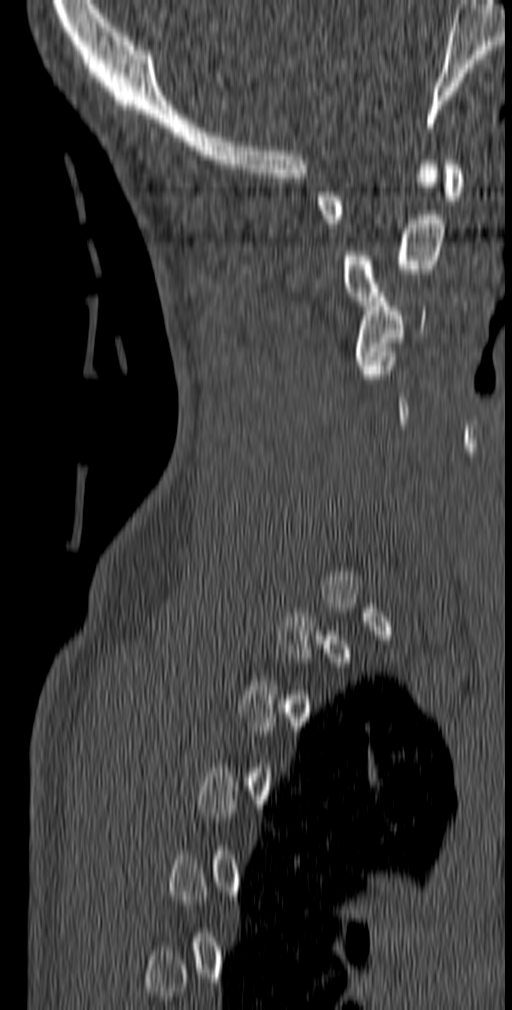

Computed tomography of the spine. sagittal view. bone window. Each row gives a vertebra's box as x1, y1, x2, y2 in pixels: top-left corner, then bottom-right corner.
A vertebra is boxed only from the first to the last slice where its cross-section is at least a third of its largest; slices outside that range leave it without a box.
| vertebra | x1 | y1 | x2 | y2 |
|---|---|---|---|---|
| C1 | 316 | 160 | 463 | 228 |
| C2 | 341 | 160 | 445 | 305 |
| C3 | 355 | 293 | 425 | 369 |